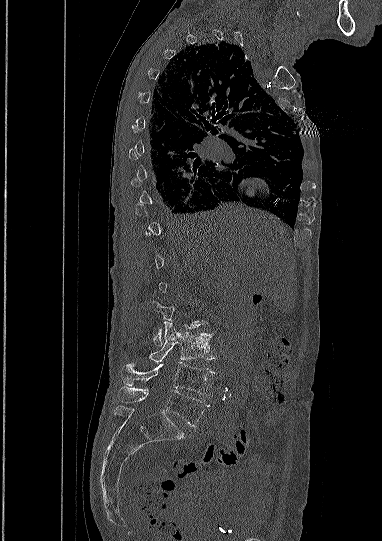 Spine computed tomography. sagittal reformat
Boxes are (x1, y1, x2, y2) in pixels.
A vertebra is boxed only from the first to the last slice where its cross-section is at least a third of its largest; slices outside that range leave it without a box.
L5: (118, 387, 209, 426)
L4: (122, 362, 215, 396)
L3: (128, 321, 213, 362)